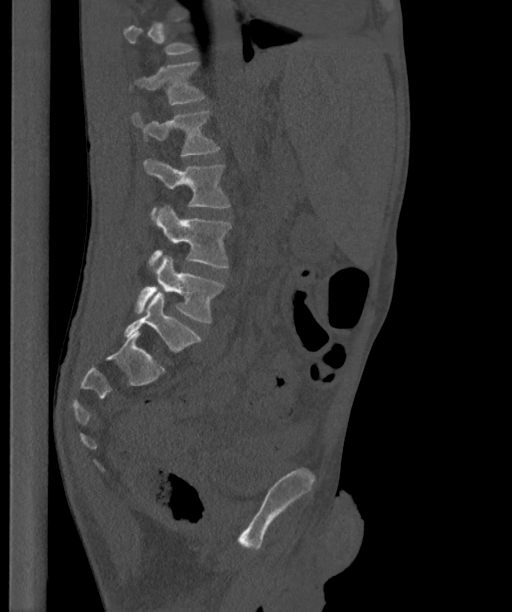 CT — the image is 363 mm wide — sagittal reformat. Each box given as x1,y1,x2,y2. A vertebra is boxed only from the first to the last slice where its cross-section is at least a third of its largest; slices outside that range leave it without a box. The labels name a sixth lumbar vertebra for this spine: L6, after L5. Vertebrae labeled: L1 at x1=130, y1=62, x2=206, y2=104, L2 at x1=132, y1=109, x2=220, y2=155, L3 at x1=143, y1=159, x2=230, y2=215, L4 at x1=149, y1=206, x2=232, y2=268, L5 at x1=134, y1=255, x2=224, y2=323, L6 at x1=124, y1=292, x2=200, y2=353.